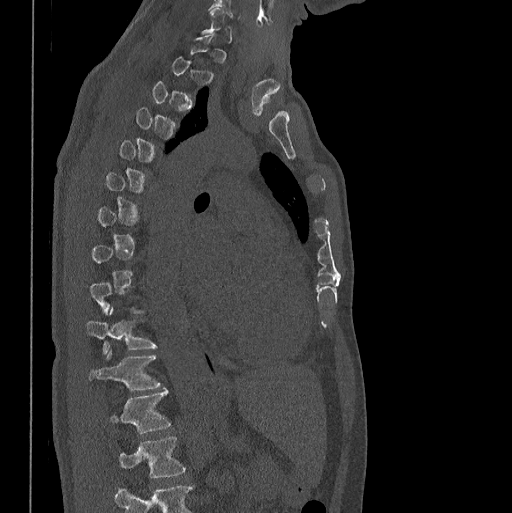 Computed tomography of the spine · sagittal view · bone window · 398 mm across the image
Boxes: x1:y1:x2:y2 in pixels.
Each vertebra is boxed only on the slices from the first to the last where its cross-section reaches a third of its largest, so a slice outside that range leaves it unboxed.
This scan's labels start at C7 at the top and end at L1 at the bottom.
T10: 87:307:156:353
T11: 89:351:160:389
T12: 109:389:170:433
L1: 118:435:185:477